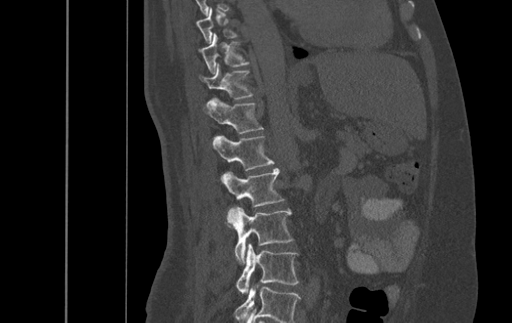 CT spine; sagittal view; image 500 mm wide; bone window. Bounding boxes as [x1, y1, x2, y2] in pixel coordinates.
In this scan, the topmost labeled vertebra is T9 and the lowest is L4.
T9: [196, 7, 237, 43]
T10: [198, 33, 248, 74]
T11: [200, 63, 252, 98]
T12: [203, 97, 262, 133]
L1: [212, 135, 273, 170]
L2: [221, 168, 284, 214]
L3: [226, 207, 293, 262]
L4: [237, 243, 298, 293]